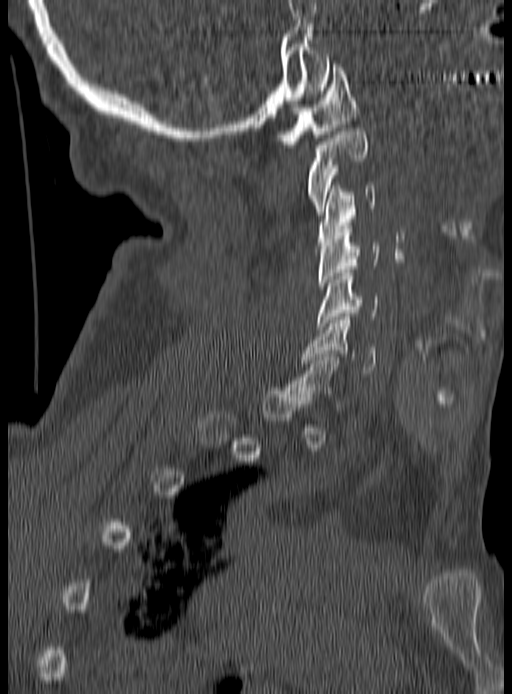

Computed tomography of the spine — 190 mm wide — sagittal view
Each box given as x1,y1,x2,y2. A vertebra is boxed only from the first to the last slice where its cross-section is at least a third of its largest; slices outside that range leave it without a box. Vertebrae labeled: C1 at x1=278, y1=64, x2=358, y2=147, C2 at x1=308, y1=131, x2=366, y2=215, C3 at x1=317, y1=185, x2=374, y2=245, C4 at x1=317, y1=226, x2=380, y2=289, C5 at x1=316, y1=273, x2=378, y2=329, C6 at x1=303, y1=317, x2=377, y2=376.